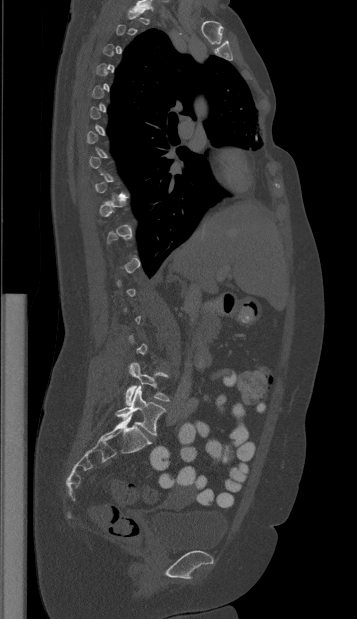
Computed tomography of the spine. 357 mm wide. sagittal view

Boxes: x1:y1:x2:y2 in pixels.
A vertebra gets a box only on the slices from the first to the last where its cross-section is at least a third of its largest; on a slice outside that range it gets none.
L5: 116:386:166:435
L4: 125:362:169:405